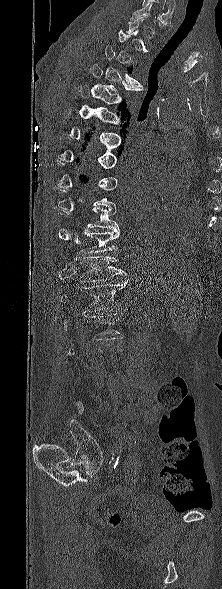
Spine CT · sagittal view · bone window · 222x589 px
Each box given as x1,y1,x2,y2.
A vertebra gets a box only on the slices from the first to the last where its cross-section is at least a third of its largest; on a slice outside that range it gets none.
L1: x1=61, y1=280, x2=127, y2=312
T12: x1=75, y1=255, x2=126, y2=282
T11: x1=79, y1=229, x2=119, y2=253
T10: x1=58, y1=208, x2=119, y2=230
T5: x1=75, y1=85, x2=122, y2=115
T4: x1=90, y1=64, x2=142, y2=98
T3: x1=104, y1=45, x2=142, y2=88